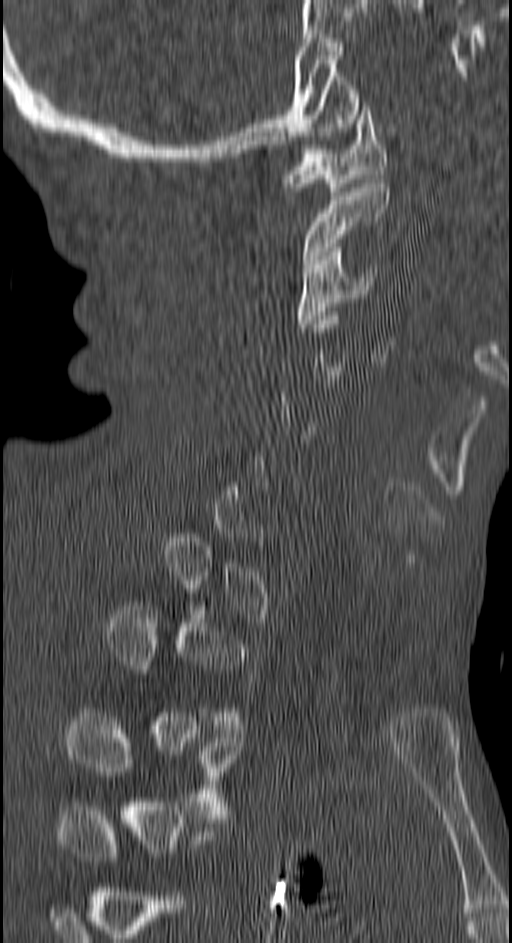 Spine CT; sagittal view; 150 mm across the image; 512x943 px
Each vertebra is boxed only on the slices from the first to the last where its cross-section reaches a third of its largest, so a slice outside that range leaves it unboxed.
<vertebrae><v name="C1" x1="285" y1="102" x2="386" y2="195"/><v name="C2" x1="302" y1="183" x2="389" y2="268"/><v name="C3" x1="298" y1="247" x2="376" y2="328"/><v name="T3" x1="66" y1="713" x2="239" y2="818"/></vertebrae>